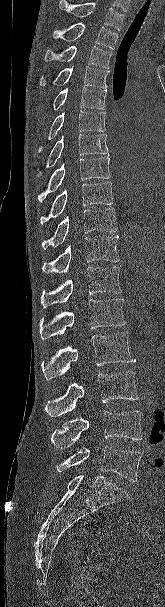 Spine CT · sagittal reformat · bone window · 165x607 px. Box edges are left/top/right/bottom in pixels.
Vertebrae that run past the top of the scan are left unlabeled.
T2: left=52, top=23, right=117, bottom=49
T3: left=44, top=45, right=112, bottom=68
T4: left=39, top=66, right=109, bottom=88
T5: left=52, top=87, right=107, bottom=110
T6: left=38, top=110, right=105, bottom=152
T7: left=37, top=134, right=108, bottom=176
T8: left=37, top=155, right=110, bottom=201
T9: left=40, top=181, right=113, bottom=224
T10: left=41, top=208, right=117, bottom=249
T11: left=42, top=235, right=119, bottom=273
T12: left=41, top=266, right=121, bottom=308
L1: left=39, top=298, right=126, bottom=339
L2: left=41, top=331, right=135, bottom=380
L3: left=45, top=371, right=138, bottom=416
L4: left=51, top=411, right=141, bottom=448
L5: left=56, top=446, right=141, bottom=481